CT spine — sagittal plane, index 31 — W/L 1800/400 HU — 255x331 px — 255 mm wide — 6 vertebrae labeled in this scan
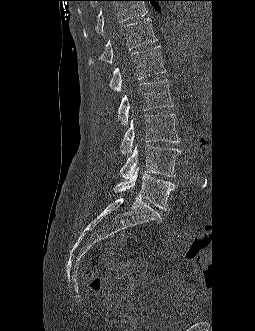
Boxes: x1 y1 x2 y2 (pixel coords, space-separated).
No box is given to a vertebra that the top edge of the scan cuts off.
T12: 88 18 157 64
L1: 109 46 165 92
L2: 117 79 173 125
L3: 120 114 180 153
L4: 120 144 180 180
L5: 114 166 176 210